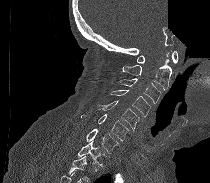 Spine computed tomography — sagittal view — part of the image is constant black where the scan was masked
Each box given as x1,y1,x2,y2.
Vertebrae that run past the bottom of the scan are left unlabeled.
| vertebra | x1 | y1 | x2 | y2 |
|---|---|---|---|---|
| C1 | 137 | 51 | 178 | 63 |
| C2 | 120 | 52 | 171 | 90 |
| C3 | 118 | 78 | 161 | 104 |
| C4 | 110 | 90 | 151 | 117 |
| C5 | 97 | 100 | 139 | 130 |
| C6 | 81 | 114 | 129 | 141 |
| C7 | 86 | 128 | 118 | 153 |
| T1 | 77 | 141 | 106 | 167 |